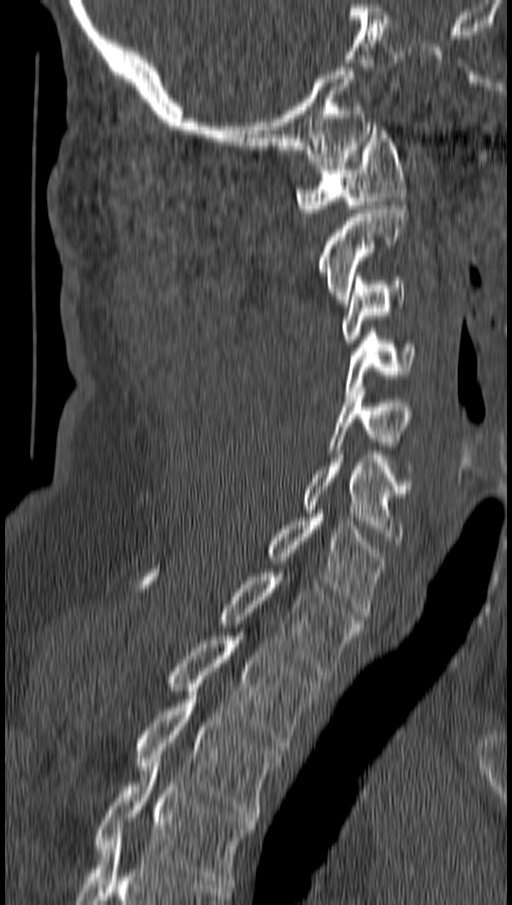 Spine CT — image 162 mm wide — sagittal view
Each row gives a vertebra's box as x1, y1, x2, y2 in pixels: top-left corner, then bottom-right corner.
| vertebra | x1 | y1 | x2 | y2 |
|---|---|---|---|---|
| T4 | 96 | 759 | 253 | 888 |
| T3 | 137 | 691 | 281 | 817 |
| T2 | 169 | 632 | 319 | 750 |
| T1 | 144 | 573 | 360 | 675 |
| C7 | 267 | 514 | 386 | 615 |
| C6 | 304 | 454 | 409 | 544 |
| C5 | 327 | 387 | 411 | 453 |
| C4 | 346 | 328 | 414 | 398 |
| C3 | 342 | 277 | 405 | 343 |
| C2 | 317 | 201 | 408 | 307 |
| C1 | 295 | 122 | 405 | 216 |